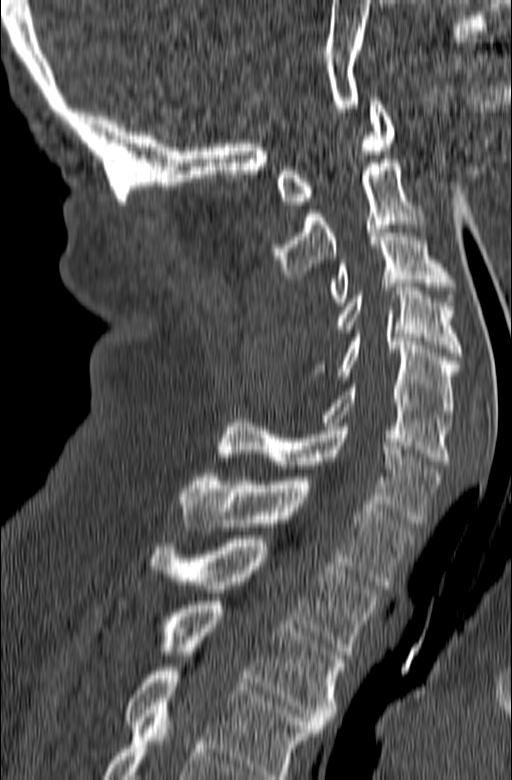
Computed tomography of the spine · sagittal view · bone-window reconstruction
This scan's labels start at C1 at the top and end at T3 at the bottom.
<vertebrae><v name="T3" x1="115" y1="601" x2="344" y2="728"/><v name="T2" x1="144" y1="539" x2="379" y2="655"/><v name="T1" x1="180" y1="473" x2="416" y2="585"/><v name="C7" x1="218" y1="419" x2="441" y2="523"/><v name="C6" x1="322" y1="380" x2="450" y2="464"/><v name="C5" x1="310" y1="334" x2="459" y2="418"/><v name="C4" x1="336" y1="283" x2="462" y2="356"/><v name="C3" x1="330" y1="225" x2="456" y2="305"/><v name="C2" x1="274" y1="159" x2="426" y2="278"/><v name="C1" x1="277" y1="97" x2="394" y2="205"/></vertebrae>